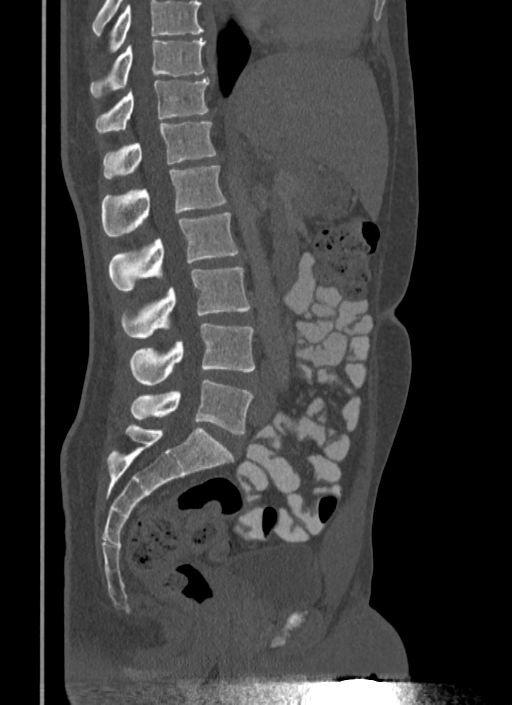
CT spine. sagittal view. the image is 340 mm wide. bone-window reconstruction. Box edges are left/top/right/bottom in pixels.
Vertebrae that run past the top of the scan are left unlabeled.
T10: left=90, top=38, right=205, bottom=97
T11: left=95, top=78, right=208, bottom=133
T12: left=102, top=122, right=216, bottom=178
L1: left=101, top=166, right=226, bottom=237
L2: left=108, top=212, right=238, bottom=290
L3: left=122, top=267, right=250, bottom=338
L4: left=129, top=324, right=255, bottom=385
L5: left=131, top=379, right=253, bottom=434